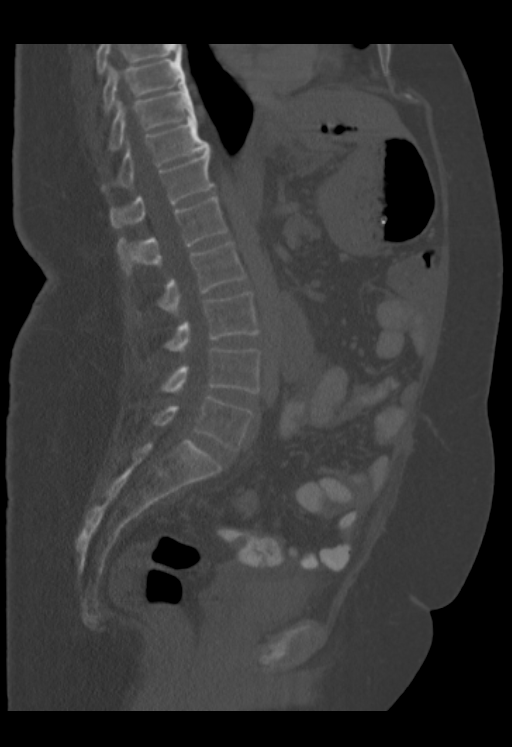
CT — sagittal view — image width 353 mm — 512x747 px

Each box given as x1,y1,x2,y2.
Labels in this scan begin with T9 at the top and end with L5 at the bottom.
T9: x1=103, y1=55, x2=185, y2=112
T10: x1=109, y1=84, x2=196, y2=150
T11: x1=101, y1=116, x2=208, y2=191
T12: x1=110, y1=146, x2=214, y2=227
L1: x1=118, y1=196, x2=227, y2=273
L2: x1=158, y1=242, x2=246, y2=315
L3: x1=164, y1=292, x2=259, y2=352
L4: x1=161, y1=348, x2=260, y2=392
L5: x1=154, y1=396, x2=253, y2=450